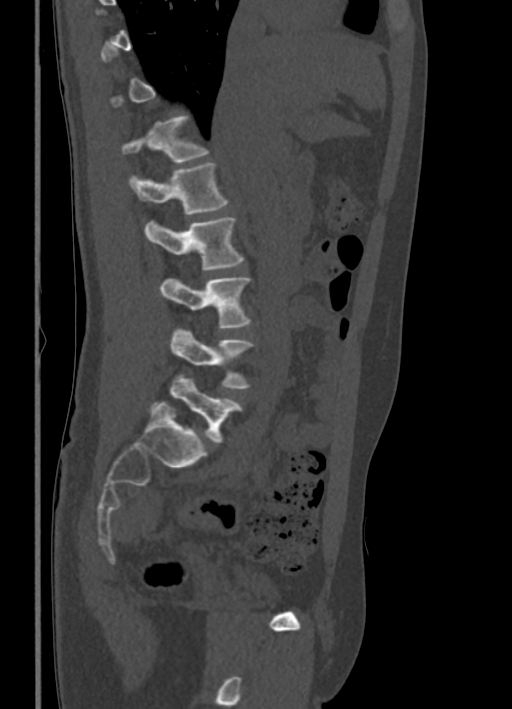
CT, spine · 336 mm image width · sagittal view

Bounding boxes as [x1, y1, x2, y2] in pixel coordinates.
A vertebra is boxed only from the first to the last slice where its cross-section is at least a third of its largest; slices outside that range leave it without a box.
Vertebra bounding boxes:
- T12: [122, 115, 209, 162]
- L1: [129, 163, 229, 214]
- L2: [145, 218, 244, 270]
- L3: [160, 277, 252, 328]
- L4: [170, 328, 253, 389]
- L5: [151, 374, 243, 443]